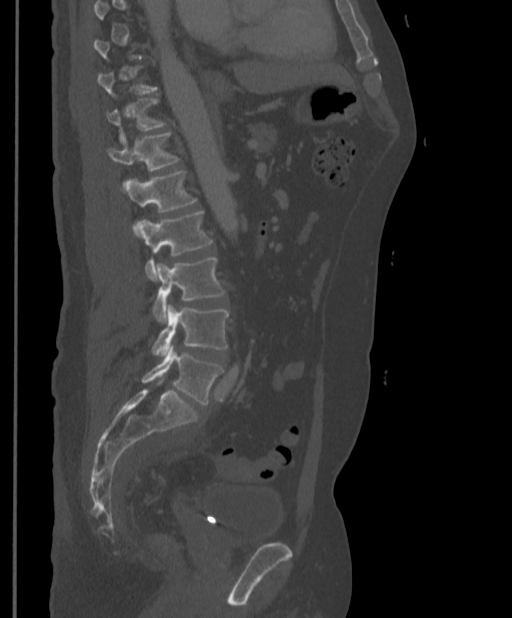 CT. sagittal reformat. image width 397 mm
Boxes are (x1, y1, x2, y2) in pixels.
Each vertebra is boxed only on the slices from the first to the last where its cross-section reaches a third of its largest, so a slice outside that range leaves it unboxed.
L5: (142, 346, 223, 405)
L4: (152, 304, 228, 355)
L3: (152, 257, 226, 323)
L2: (136, 212, 213, 280)
L1: (124, 170, 197, 212)
T12: (107, 132, 179, 189)
T11: (106, 98, 167, 141)
T10: (98, 66, 157, 97)